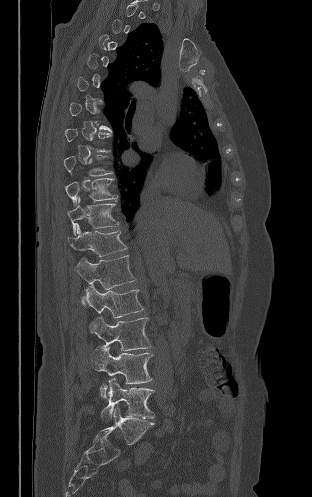
CT, spine; sagittal view; image 312 mm wide; bone window
Boxes below are [x1, y1, x2, y2] in pixels.
A vertebra is boxed only from the first to the last slice where its cross-section is at least a third of its largest; slices outside that range leave it without a box.
{"vertebrae":{"T10":[65,178,117,204],"T11":[67,197,119,234],"T12":[68,223,127,256],"L1":[76,255,135,303],"L2":[82,284,143,318],"L3":[90,317,151,350],"L4":[91,347,153,397],"L5":[101,377,154,422]}}